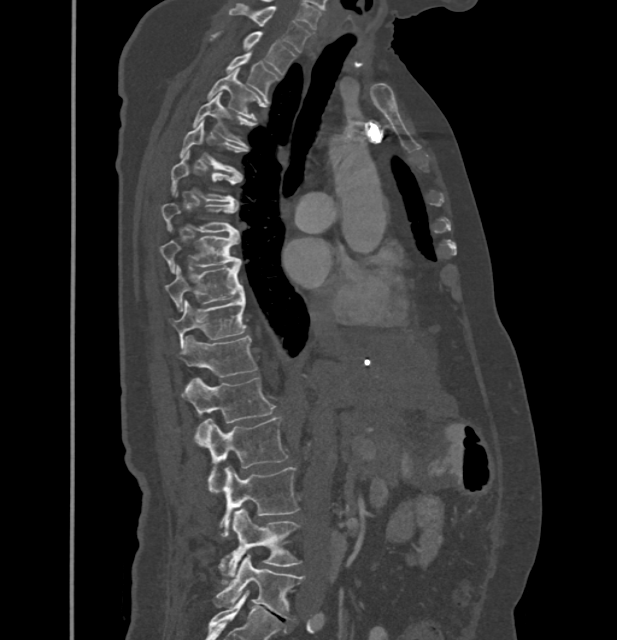
CT; sagittal view; image 432 mm wide
These labels give this spine no T12: after T11 the next vertebra is L1.
<vertebrae><v name="C7" x1="229" y1="3" x2="310" y2="52"/><v name="T1" x1="212" y1="32" x2="294" y2="74"/><v name="T2" x1="227" y1="52" x2="277" y2="95"/><v name="T3" x1="209" y1="69" x2="259" y2="119"/><v name="T4" x1="193" y1="93" x2="246" y2="145"/><v name="T5" x1="180" y1="122" x2="240" y2="174"/><v name="T6" x1="171" y1="153" x2="234" y2="202"/><v name="T7" x1="162" y1="203" x2="238" y2="234"/><v name="T8" x1="160" y1="235" x2="240" y2="272"/><v name="T9" x1="164" y1="263" x2="244" y2="311"/><v name="T10" x1="170" y1="296" x2="246" y2="348"/><v name="T11" x1="181" y1="336" x2="257" y2="376"/><v name="L1" x1="181" y1="377" x2="275" y2="422"/><v name="L2" x1="194" y1="417" x2="287" y2="492"/><v name="L3" x1="219" y1="466" x2="299" y2="536"/><v name="L4" x1="219" y1="509" x2="299" y2="582"/><v name="L5" x1="216" y1="555" x2="303" y2="619"/></vertebrae>